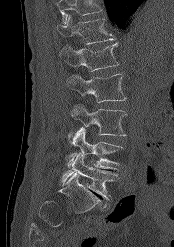

CT spine · sagittal reformat · bone window

Where the top of the scan cuts through a vertebra, that vertebra gets no label or box.
<vertebrae><v name="T12" x1="57" y1="14" x2="115" y2="44"/><v name="L1" x1="59" y1="43" x2="119" y2="71"/><v name="L2" x1="66" y1="73" x2="126" y2="102"/><v name="L3" x1="71" y1="105" x2="127" y2="136"/><v name="L4" x1="66" y1="128" x2="123" y2="170"/><v name="L5" x1="61" y1="154" x2="118" y2="200"/></vertebrae>